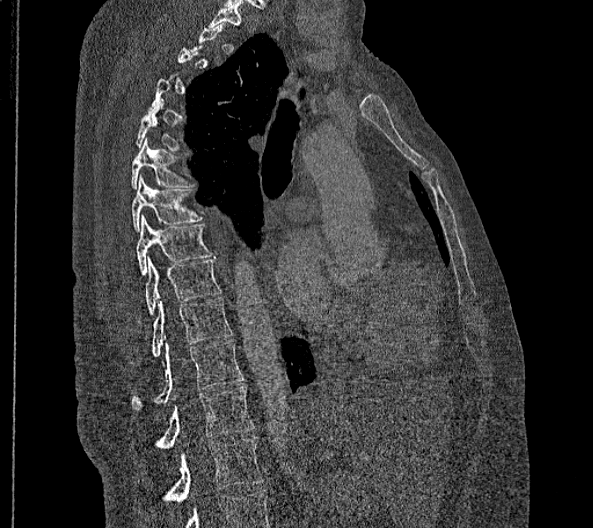
Spine CT; sagittal reformat; 593x528 px
Coordinates as <box>x1,y1,x2,y2</box>.
Each vertebra is boxed only on the slices from the first to the last where its cross-section reaches a third of its largest, so a slice outside that range leaves it unboxed.
Labels in this scan begin with T2 at the top and end with L2 at the bottom.
These labels give this spine no T12: after T11 the next vertebra is L1.
L2: <box>163,437,263,502</box>
L1: <box>156,385,254,448</box>
T11: <box>131,340,244,410</box>
T10: <box>152,297,232,357</box>
T9: <box>145,256,220,314</box>
T8: <box>137,214,212,275</box>
T7: <box>131,174,202,232</box>
T6: <box>131,138,193,189</box>